CT; sagittal view; 512x612 px; scan covers 7 annotated vertebrae
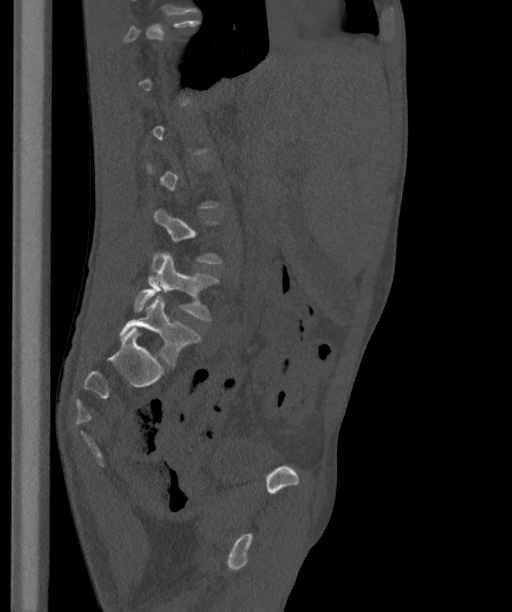

Each vertebra maps to its box as [x1, y1, x2, y2], the pixel coordinates of its top-left and bottom-right corners.
Not every vertebra on this slice has a box: a vertebra is boxed only from the first to the last slice where its cross-section is at least a third of its largest, and this slice is outside that range for at least one of them.
The labels name a sixth lumbar vertebra for this spine: L6, after L5.
{"vertebrae":{"L5":[133,253,217,320],"L6":[119,295,200,366]}}